CT. sagittal view. W/L 1800/400 HU. 350x292 px. 5 vertebrae labeled in this scan. the image spans 350 mm across
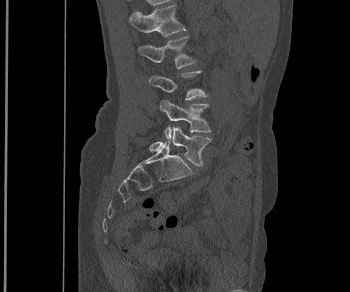
Each row gives a vertebra's box as x1, y1, x2, y2 in pixels: top-left corner, then bottom-right corner.
| vertebra | x1 | y1 | x2 | y2 |
|---|---|---|---|---|
| L5 | 150 | 126 | 211 | 166 |
| L4 | 159 | 100 | 211 | 139 |
| L3 | 149 | 71 | 207 | 100 |
| L2 | 138 | 36 | 196 | 68 |
| L1 | 129 | 3 | 185 | 36 |